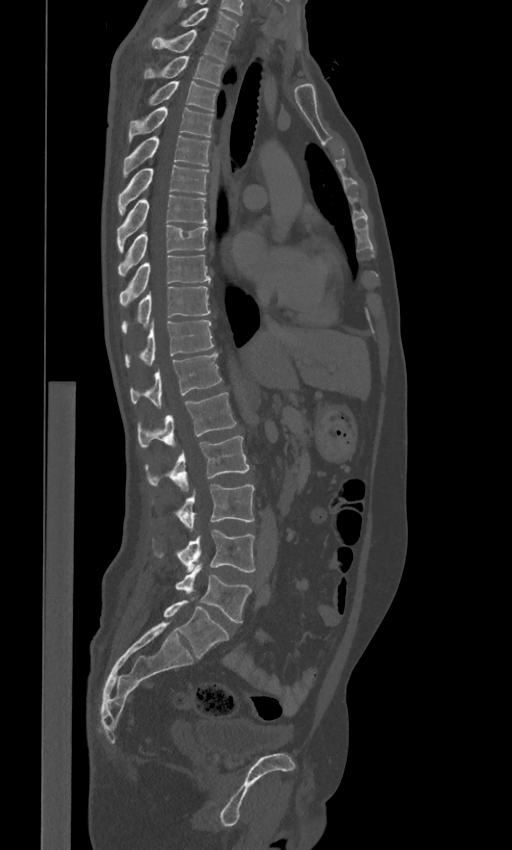

CT · sagittal view · 512x850 px

Box edges are left/top/right/bottom in pixels.
These labels give the spine a sixth lumbar vertebra, L6, below L5.
C7: left=158, top=7, right=239, bottom=37
T1: left=151, top=29, right=230, bottom=61
T2: left=143, top=56, right=223, bottom=85
T3: left=147, top=81, right=219, bottom=110
T4: left=128, top=107, right=214, bottom=142
T5: left=122, top=135, right=209, bottom=177
T6: left=118, top=164, right=208, bottom=214
T7: left=117, top=195, right=206, bottom=252
T8: left=118, top=225, right=207, bottom=276
T9: left=119, top=255, right=210, bottom=307
T10: left=121, top=286, right=210, bottom=333
T11: left=125, top=320, right=214, bottom=367
T12: left=129, top=352, right=222, bottom=408
L1: left=137, top=392, right=236, bottom=447
L2: left=144, top=436, right=249, bottom=492
L3: left=174, top=485, right=254, bottom=528
L4: left=152, top=529, right=255, bottom=571
L5: left=176, top=565, right=251, bottom=622
L6: left=163, top=598, right=229, bottom=657